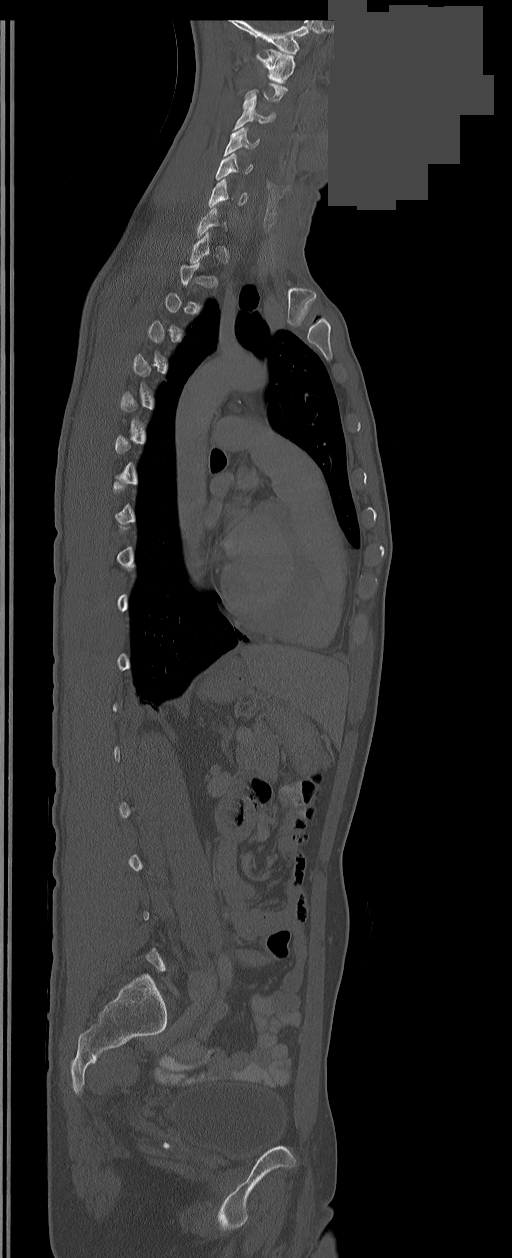

CT spine; sagittal view; bone-window reconstruction; 512x1258 px; part of the image has been replaced by a constant value
Box values are [left, top, right, bottom] in pixels.
Not every vertebra on this slice has a box: a vertebra is boxed only from the first to the last slice where its cross-section is at least a third of its largest, and this slice is outside that range for at least one of them.
{"vertebrae":{"C6":[208,179,248,207],"C5":[215,154,252,179],"C4":[224,127,260,156],"C3":[234,95,274,129],"C1":[256,49,295,83]}}